Spine computed tomography. sagittal reformat. 512x551 px. 399 mm image width
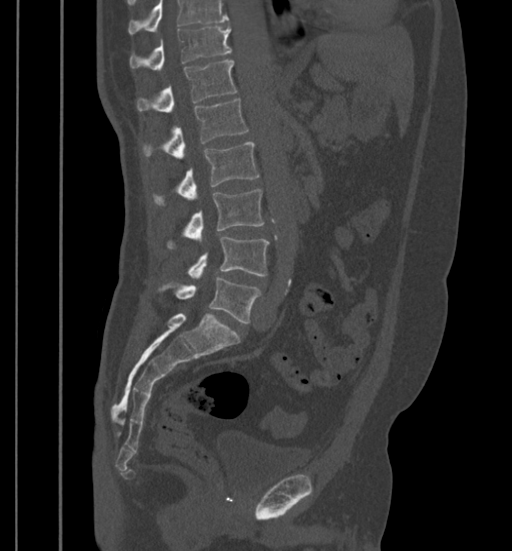
No box is given to a vertebra that the top edge of the scan cuts off.
<vertebrae><v name="L5" x1="158" y1="277" x2="261" y2="323"/><v name="L4" x1="187" y1="236" x2="268" y2="278"/><v name="L3" x1="167" y1="188" x2="263" y2="247"/><v name="L2" x1="153" y1="142" x2="259" y2="205"/><v name="L1" x1="142" y1="99" x2="248" y2="158"/><v name="T12" x1="137" y1="60" x2="238" y2="112"/><v name="T11" x1="129" y1="26" x2="231" y2="69"/></vertebrae>